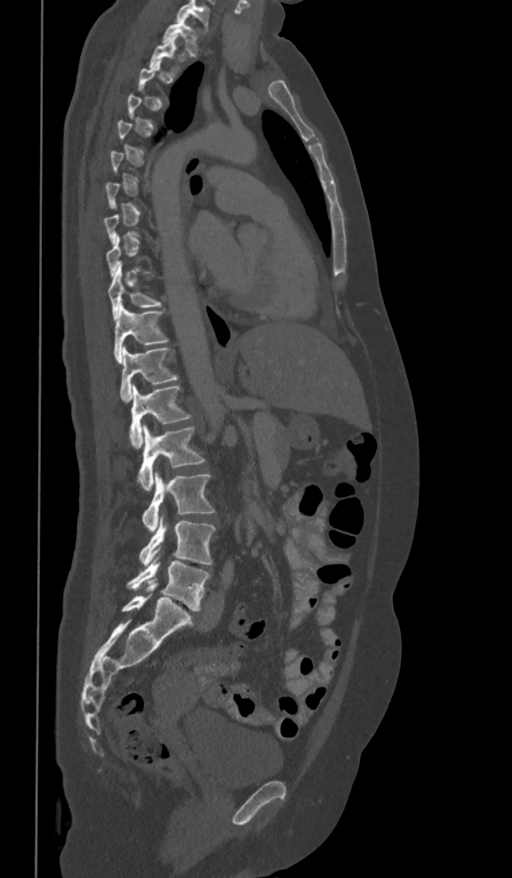 Spine CT; sagittal view; bone window

A vertebra gets a box only on the slices from the first to the last where its cross-section is at least a third of its largest; on a slice outside that range it gets none.
In this scan, the topmost labeled vertebra is T1 and the lowest is L5.
<vertebrae><v name="T1" x1="163" y1="17" x2="200" y2="55"/><v name="T2" x1="149" y1="36" x2="179" y2="74"/><v name="T10" x1="108" y1="266" x2="161" y2="318"/><v name="T11" x1="113" y1="304" x2="169" y2="362"/><v name="T12" x1="120" y1="346" x2="177" y2="402"/><v name="L1" x1="129" y1="384" x2="192" y2="447"/><v name="L2" x1="137" y1="425" x2="204" y2="490"/><v name="L3" x1="142" y1="471" x2="214" y2="531"/><v name="L4" x1="139" y1="516" x2="216" y2="566"/><v name="L5" x1="126" y1="557" x2="210" y2="610"/></vertebrae>